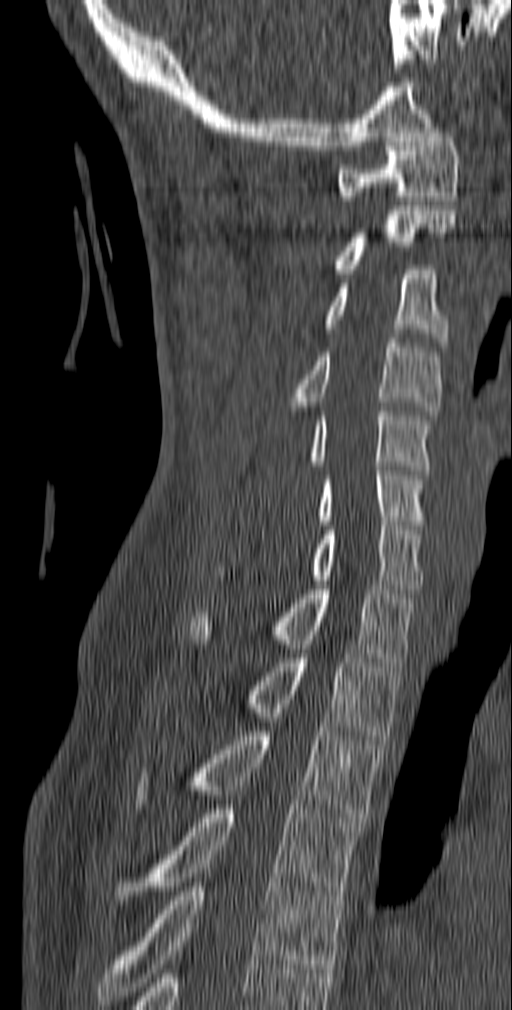
Spine computed tomography — sagittal view — Bone window (WL 400, WW 1800)
<vertebrae><v name="C1" x1="338" y1="128" x2="460" y2="200"/><v name="C2" x1="334" y1="206" x2="456" y2="273"/><v name="C3" x1="323" y1="265" x2="448" y2="346"/><v name="C4" x1="287" y1="338" x2="443" y2="415"/><v name="C5" x1="309" y1="407" x2="432" y2="474"/><v name="C6" x1="316" y1="466" x2="428" y2="525"/><v name="C7" x1="309" y1="521" x2="424" y2="593"/><v name="T1" x1="188" y1="585" x2="417" y2="666"/><v name="T2" x1="241" y1="658" x2="403" y2="740"/><v name="T3" x1="133" y1="727" x2="383" y2="822"/><v name="T4" x1="113" y1="805" x2="362" y2="900"/><v name="T5" x1="98" y1="878" x2="344" y2="1005"/></vertebrae>